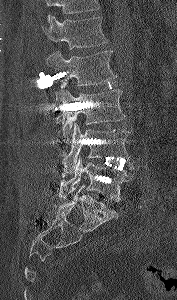 CT · sagittal view · 177x300 px · 177 mm image width

Boxes are given in columns x1, y1, x2, y2, the pixel coordinates of their top-left and bottom-right corners.
A vertebra cut off by the top edge of the scan is not labeled and has no box.
| vertebra | x1 | y1 | x2 | y2 |
|---|---|---|---|---|
| L1 | 45 | 16 | 107 | 49 |
| L2 | 46 | 50 | 117 | 90 |
| L3 | 55 | 88 | 126 | 142 |
| L4 | 62 | 122 | 131 | 172 |
| L5 | 58 | 157 | 133 | 202 |